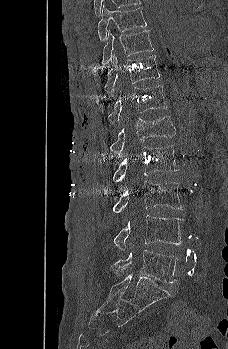 CT — sagittal view — bone-window reconstruction — 228x349 px — 228 mm wide
Each vertebra maps to its box as [x1, y1, x2, y2], the pixel coordinates of its top-left and bottom-right corners.
{"vertebrae":{"T9":[97,5,147,40],"T10":[101,30,154,64],"T11":[104,55,160,95],"T12":[108,85,167,127],"L1":[109,116,175,156],"L2":[113,145,179,185],"L3":[113,180,184,212],"L4":[113,215,183,250],"L5":[111,250,178,283]}}